CT. Sagittal slice 172/512. bone-window reconstruction. 512x827 px. scan covers 10 annotated vertebrae
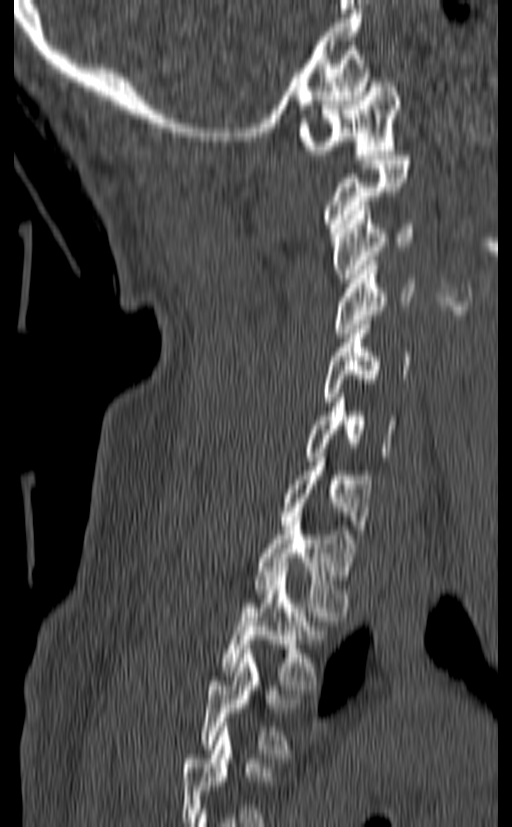 Bounding boxes as [x1, y1, x2, y2] in pixel coordinates.
In this scan, the topmost labeled vertebra is C1 and the lowest is T3.
C1: [299, 73, 400, 159]
C2: [323, 155, 410, 232]
C3: [330, 206, 414, 287]
C4: [334, 261, 415, 337]
C5: [322, 320, 412, 401]
C6: [305, 393, 396, 461]
C7: [280, 457, 372, 538]
T1: [254, 512, 354, 616]
T2: [220, 571, 326, 689]
T3: [200, 649, 298, 758]